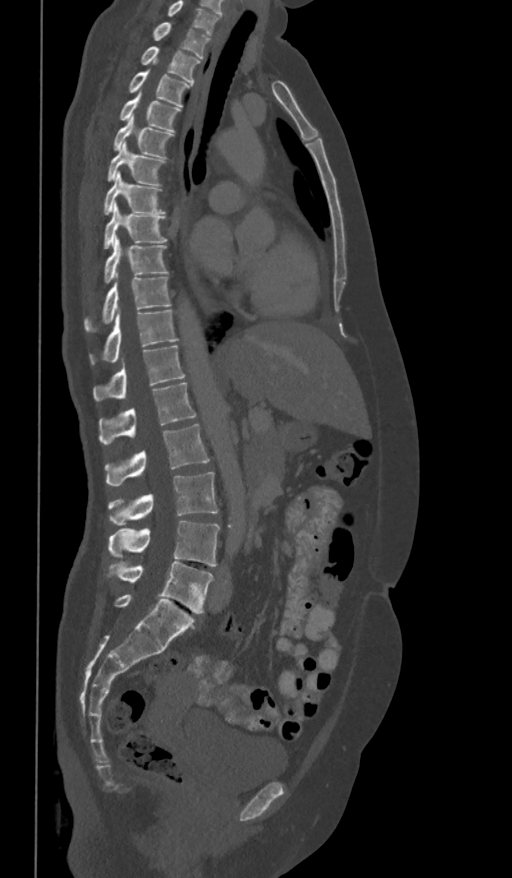
Spine CT; sagittal view; W/L 1800/400 HU; 512x878 px; image 361 mm wide
Each vertebra maps to its box as [x1, y1, x2, y2], the pixel coordinates of its top-left and bottom-right corners.
The highest labeled vertebra in this scan is T1; the lowest is L5.
{"vertebrae":{"L5":[106,562,213,613],"L4":[108,521,220,566],"L3":[108,471,219,526],"L2":[105,425,210,485],"L1":[99,382,196,444],"T12":[93,345,185,401],"T11":[89,310,177,364],"T10":[83,276,172,332],"T9":[103,236,169,284],"T8":[102,203,168,249],"T7":[102,172,165,215],"T6":[106,142,166,185],"T5":[112,115,173,157],"T4":[119,94,180,132],"T3":[127,70,190,106],"T2":[140,47,200,83],"T1":[152,22,210,58]}}